CT, spine · sagittal plane, index 35 · bone-window reconstruction
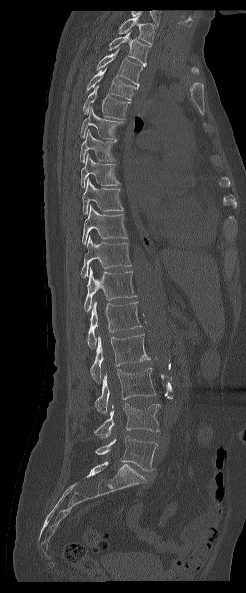 Boxes: x1:y1:x2:y2 in pixels. In this scan, the topmost labeled vertebra is T1 and the lowest is L5. 17 vertebrae labeled — T1 at 118:16:154:44; T2 at 107:31:150:66; T3 at 96:48:142:88; T4 at 86:68:135:100; T5 at 83:85:131:119; T6 at 80:107:122:139; T7 at 80:129:116:163; T8 at 81:154:119:187; T9 at 82:179:123:214; T10 at 82:205:128:244; T11 at 81:236:131:277; T12 at 84:266:136:311; L1 at 87:301:141:347; L2 at 91:334:150:383; L3 at 94:368:155:413; L4 at 94:403:160:438; L5 at 95:436:157:470.